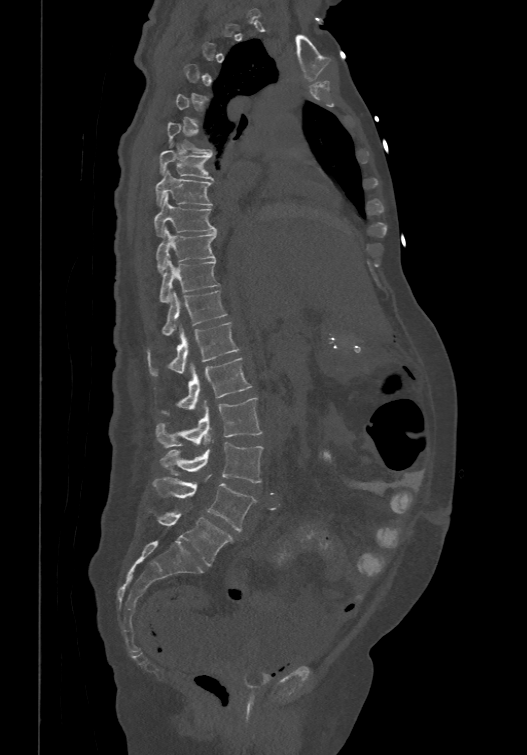
Computed tomography of the spine — sagittal reformat — Bone window (WL 400, WW 1800)
Boxes: x1 y1 x2 y2 (pixel coords, space-separated).
A vertebra gets a box only on the slices from the first to the last where its cross-section is at least a third of its largest; on a slice outside that range it gets none.
The labels name a sixth lumbar vertebra for this spine: L6, after L5.
Vertebra bounding boxes:
- L6: 158 512 234 565
- L5: 152 476 255 531
- L4: 160 442 262 482
- L3: 155 397 262 447
- L2: 161 356 251 414
- L1: 148 321 239 375
- T12: 163 290 226 334
- T11: 158 258 219 302
- T10: 155 226 217 271
- T9: 154 194 217 234
- T8: 155 168 212 204
- T7: 159 150 213 179
- T6: 167 121 212 155